Spine CT; Sagittal slice 241/512; the image spans 350 mm across; scan covers 6 annotated vertebrae
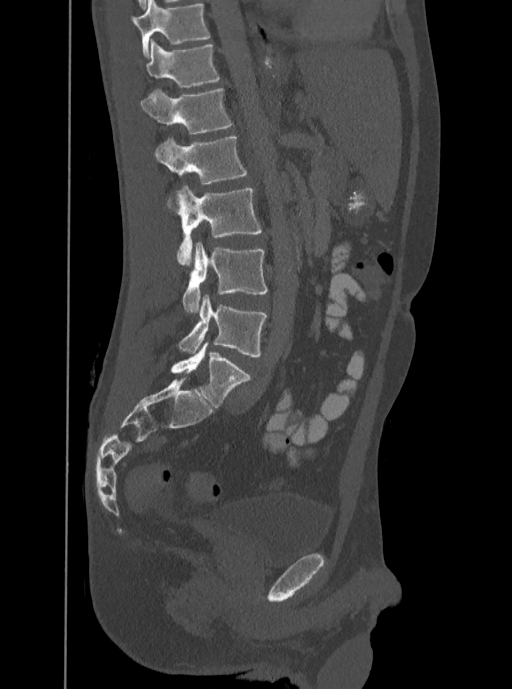 Box values are [left, top, right, bottom] in pixels.
In this scan, the topmost labeled vertebra is T12 and the lowest is L5.
{"vertebrae":{"L5":[177,295,266,357],"L4":[183,242,268,312],"L3":[176,186,262,266],"L2":[155,136,247,200],"L1":[140,87,233,133],"T12":[146,39,220,86]}}